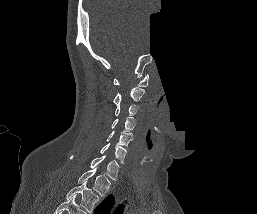

CT, spine · sagittal view · image width 257 mm · 257x214 px · a region of this slice is masked with a uniform fill
Each box given as x1,y1,x2,y2.
In this scan, the topmost labeled vertebra is C1 and the lowest is T1.
T1: x1=77, y1=168, x2=111, y2=196
C7: x1=70, y1=155, x2=119, y2=180
C6: x1=100, y1=143, x2=126, y2=163
C5: x1=107, y1=131, x2=133, y2=148
C4: x1=111, y1=117, x2=135, y2=132
C3: x1=114, y1=104, x2=138, y2=116
C2: x1=113, y1=87, x2=144, y2=104
C1: x1=113, y1=74, x2=148, y2=87